Spine computed tomography — sagittal view — W/L 1800/400 HU — 5 vertebrae labeled in this scan
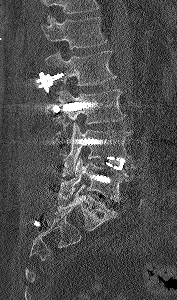
Boxes: x1:y1:x2:y2 in pixels. No box is given to a vertebra that the top edge of the scan cuts off. Vertebrae labeled: L5 at 58:156:133:202, L4 at 63:122:131:172, L3 at 55:89:125:141, L2 at 45:50:116:85, L1 at 42:17:107:49.